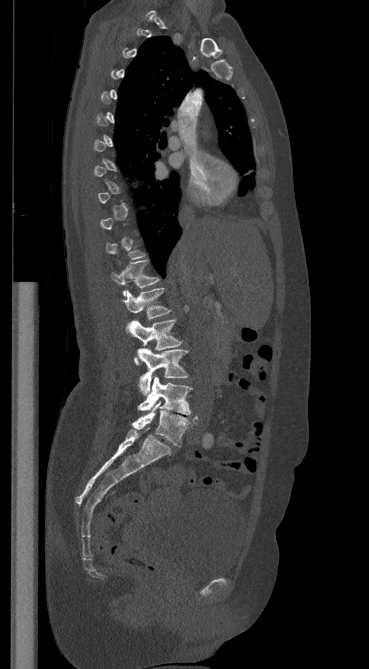 CT, spine · sagittal reformat · 369x669 px
Box edges are left/top/right/bottom in pixels. A vertebra is boxed only from the first to the last slice where its cross-section is at least a third of its largest; slices outside that range leave it without a box. Vertebrae labeled: T12 at left=111, top=260, right=159, bottom=296, L1 at left=121, top=288, right=171, bottom=319, L2 at left=127, top=319, right=182, bottom=363, L3 at left=137, top=348, right=188, bottom=395, L4 at left=138, top=376, right=191, bottom=414, L5 at left=131, top=401, right=197, bottom=446.